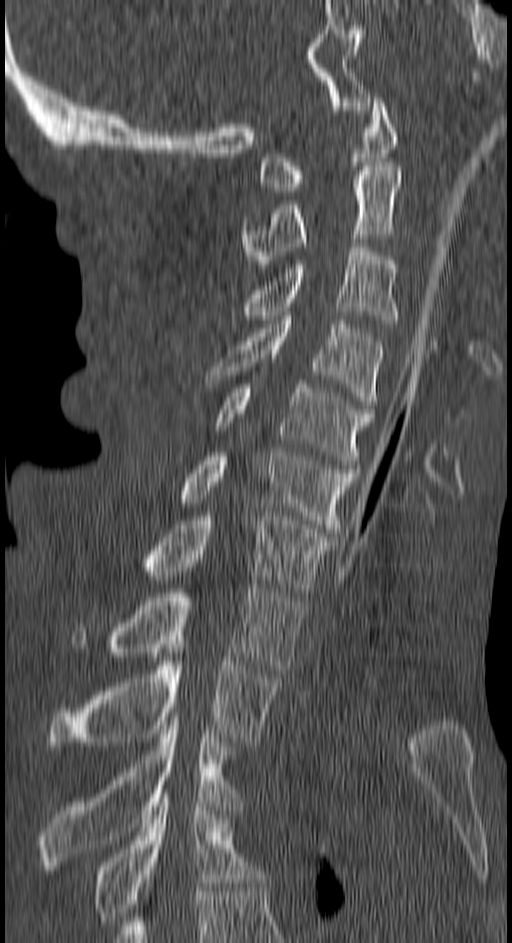

Computed tomography of the spine; sagittal view; 512x943 px

Boxes: x1:y1:x2:y2 in pixels.
Vertebra bounding boxes:
- C1: 257:98:396:191
- C2: 240:166:400:268
- C3: 240:243:398:323
- C4: 206:316:383:413
- C5: 216:380:374:468
- C6: 182:452:355:532
- C7: 145:512:335:592
- T1: 73:585:304:673
- T2: 49:644:280:746
- T3: 39:721:243:869
- T4: 93:794:263:925